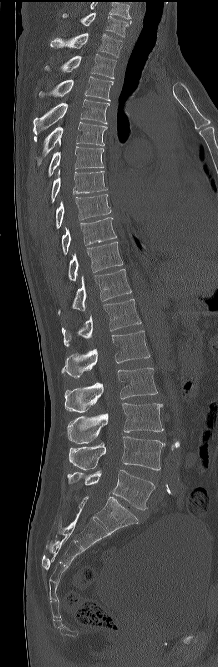 CT; the image spans 218 mm across; sagittal view; 218x667 px
Each box is [x1, y1, x2, y2] in pixels: top-left corner, then bottom-right corner.
The highest labeled vertebra in this scan is C7; the lowest is L5.
{"vertebrae":{"C7":[62,12,131,37],"T1":[50,33,122,57],"T2":[45,53,116,78],"T3":[39,76,113,101],"T4":[33,99,109,134],"T5":[35,121,107,166],"T6":[48,146,103,176],"T7":[51,170,107,202],"T8":[56,194,110,228],"T9":[61,217,116,254],"T10":[68,241,122,281],"T11":[58,269,131,315],"T12":[61,299,141,347],"L1":[61,330,150,377],"L2":[64,367,157,412],"L3":[67,403,163,443],"L4":[69,436,165,470],"L5":[67,469,154,509]}}